Computed tomography of the spine. Sagittal slice 332/512. bone-window reconstruction. scan covers 11 annotated vertebrae
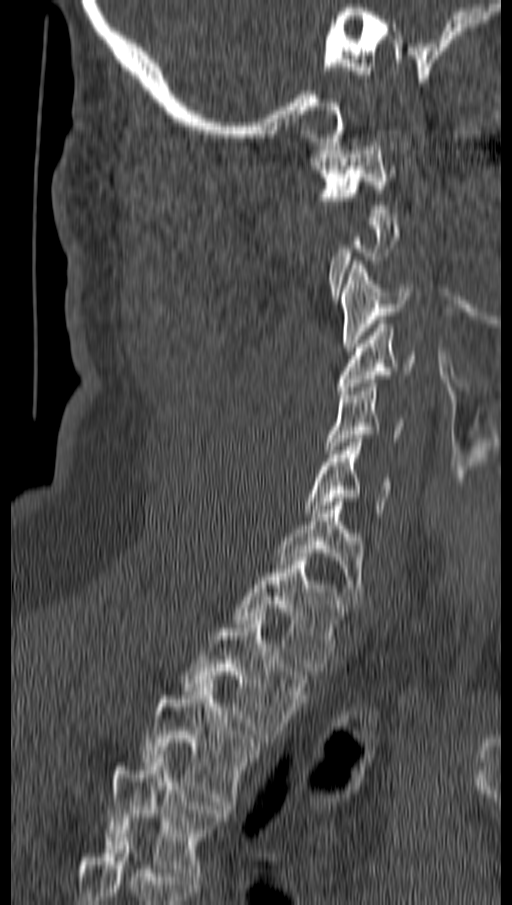
Box edges are left/top/right/bottom in pixels. Not every vertebra on this slice has a box: a vertebra is boxed only from the first to the last slice where its cross-section is at least a third of its largest, and this slice is outside that range for at least one of them. The labeled vertebrae in this slice are: C1 at left=311, top=138, right=395, bottom=216, C3 at left=342, top=261, right=412, bottom=351, C4 at left=338, top=320, right=417, bottom=394, C5 at left=327, top=379, right=402, bottom=453, C6 at left=304, top=439, right=393, bottom=517, C7 at left=276, top=502, right=364, bottom=603, T1 at left=235, top=557, right=345, bottom=675, T2 at left=181, top=616, right=307, bottom=738, T3 at left=143, top=683, right=259, bottom=805, T4 at left=105, top=755, right=228, bottom=880.